CT spine · sagittal plane, index 286 · W/L 1800/400 HU
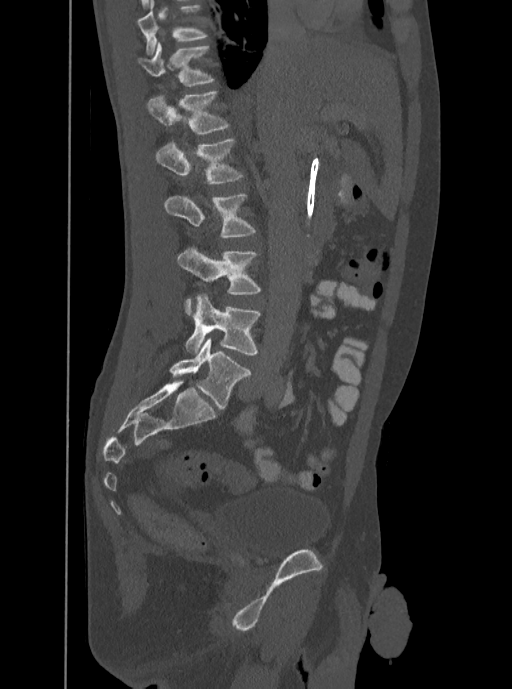

The highest labeled vertebra in this scan is T12; the lowest is L5.
<vertebrae><v name="L5" x1="184" y1="294" x2="261" y2="354"/><v name="L4" x1="177" y1="246" x2="261" y2="315"/><v name="L3" x1="164" y1="192" x2="256" y2="237"/><v name="L2" x1="155" y1="138" x2="243" y2="185"/><v name="L1" x1="147" y1="91" x2="230" y2="133"/><v name="T12" x1="139" y1="42" x2="214" y2="86"/></vertebrae>